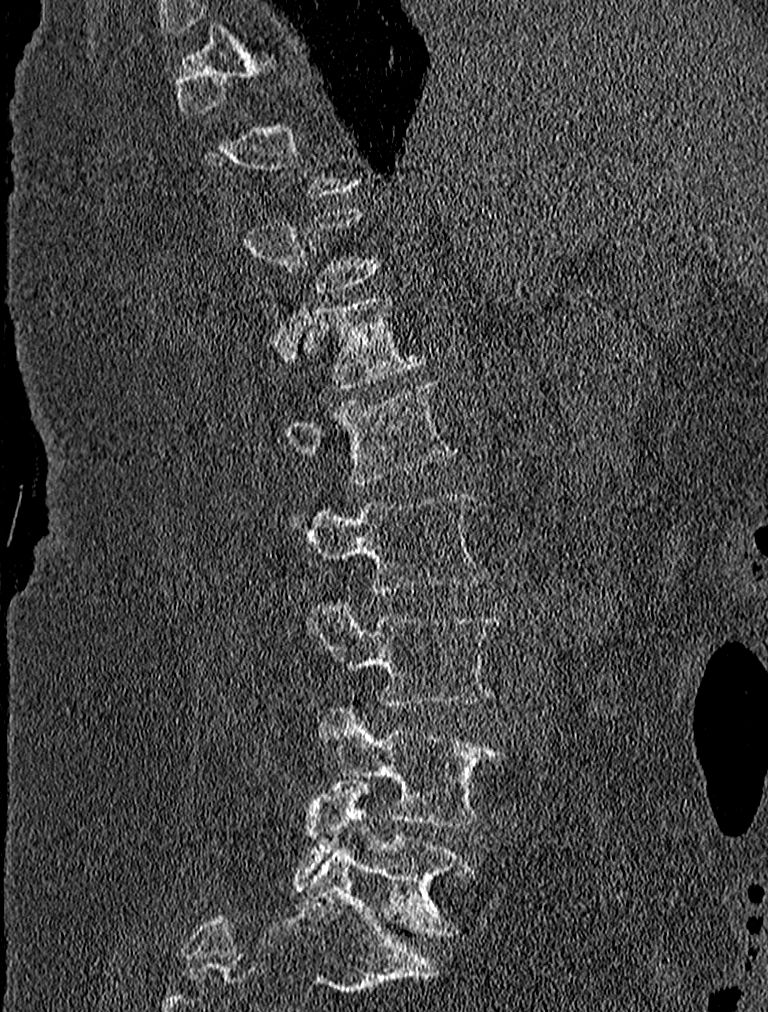
CT, spine — sagittal view — bone-window reconstruction — 768x1012 px — 227 mm wide. Box edges are left/top/right/bottom in pixels. Each vertebra is boxed only on the slices from the first to the last where its cross-section reaches a third of its largest, so a slice outside that range leaves it unboxed. The labeled vertebrae in this slice are: T12 at left=301, top=294, right=424, bottom=389, L1 at left=286, top=379, right=455, bottom=483, L2 at left=307, top=495, right=485, bottom=593, L3 at left=307, top=597, right=499, bottom=708, L4 at left=317, top=709, right=503, bottom=826, L5 at left=295, top=778, right=471, bottom=934.